Spine computed tomography; 317 mm image width; sagittal view; bone-window reconstruction
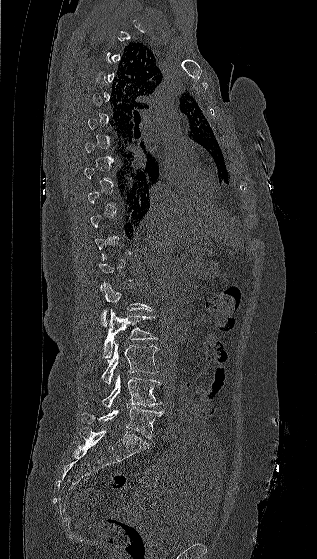

Boxes: x1 y1 x2 y2 (pixel coords, space-separated). A vertebra gets a box only on the slices from the first to the last where its cross-section is at least a third of its largest; on a slice outside that range it gets none. Vertebrae labeled: L1 at 101 283 153 326, L2 at 103 309 157 358, L3 at 102 343 159 386, L4 at 102 374 161 408, L5 at 82 406 163 438.